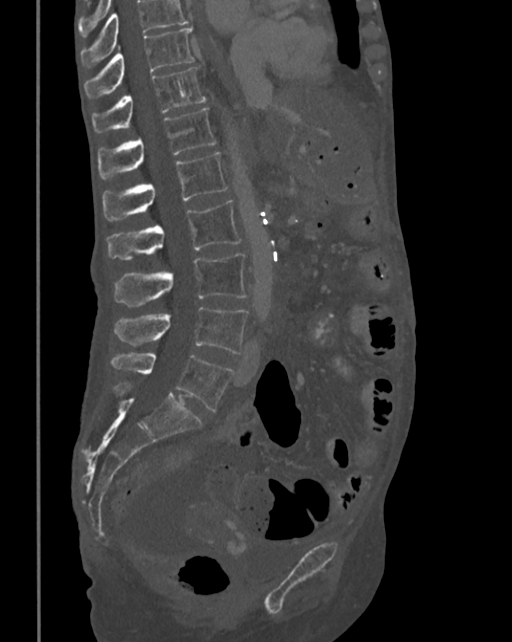
Spine computed tomography; sagittal view; 512x642 px
Boxes: x1:y1:x2:y2 in pixels.
No box is given to a vertebra that the top edge of the scan cuts off.
Vertebra bounding boxes:
- T10: 84:27:193:99
- T11: 93:66:205:133
- T12: 97:108:216:179
- L1: 102:152:228:219
- L2: 108:199:241:260
- L3: 114:254:246:306
- L4: 114:307:248:354
- L5: 111:352:232:411